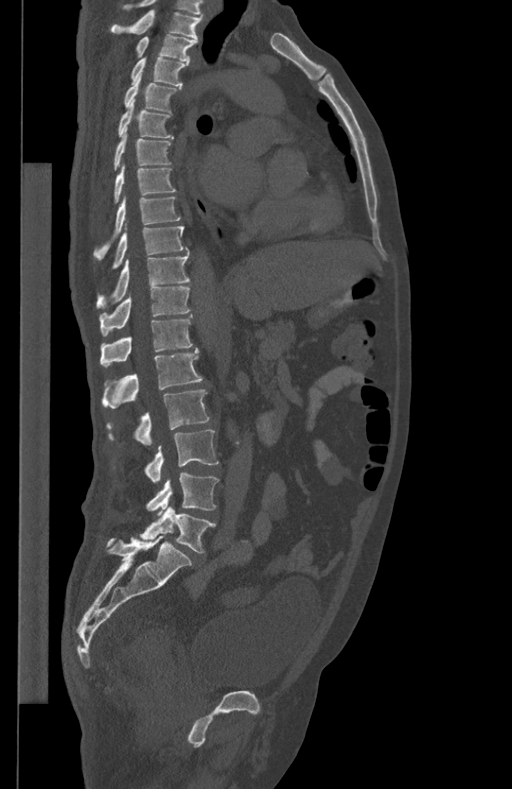
CT, spine — sagittal view — 512x789 px. Box edges are left/top/right/bottom in pixels.
| vertebra | x1 | y1 | x2 | y2 |
|---|---|---|---|---|
| T1 | 111 | 10 | 202 | 40 |
| T2 | 136 | 34 | 197 | 61 |
| T3 | 131 | 56 | 189 | 86 |
| T4 | 124 | 76 | 177 | 113 |
| T5 | 118 | 100 | 174 | 138 |
| T6 | 113 | 128 | 171 | 170 |
| T7 | 114 | 162 | 175 | 202 |
| T8 | 94 | 195 | 179 | 259 |
| T9 | 112 | 224 | 188 | 268 |
| T10 | 97 | 252 | 189 | 308 |
| T11 | 99 | 287 | 190 | 336 |
| T12 | 100 | 314 | 192 | 366 |
| L1 | 101 | 347 | 203 | 408 |
| L2 | 106 | 389 | 209 | 445 |
| L3 | 144 | 429 | 218 | 482 |
| L4 | 146 | 472 | 218 | 514 |
| L5 | 139 | 506 | 216 | 553 |